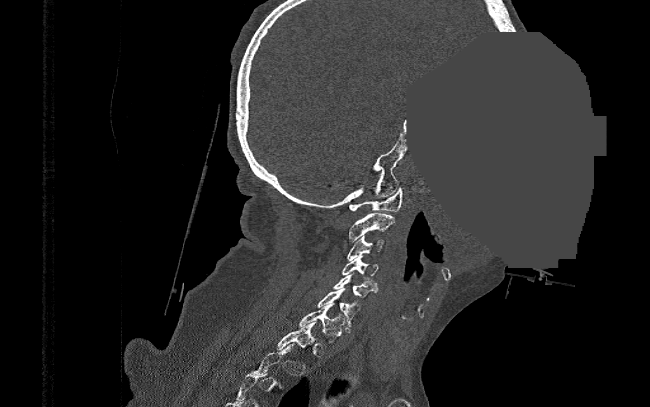 Spine computed tomography — sagittal view — bone-window reconstruction — 650x407 px — a region is masked with a constant gray value

Box edges are left/top/right/bottom in pixels.
A vertebra gets a box only on the slices from the first to the last where its cross-section is at least a third of its largest; on a slice outside that range it gets none.
| vertebra | x1 | y1 | x2 | y2 |
|---|---|---|---|---|
| C1 | 349 | 187 | 403 | 211 |
| C2 | 348 | 213 | 394 | 241 |
| C3 | 347 | 236 | 385 | 260 |
| C4 | 342 | 256 | 377 | 276 |
| C5 | 333 | 274 | 377 | 297 |
| C6 | 317 | 288 | 360 | 326 |
| C7 | 300 | 303 | 344 | 342 |
| T1 | 275 | 322 | 316 | 350 |